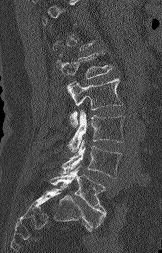
CT, spine — sagittal view — W/L 1800/400 HU
A vertebra gets a box only on the slices from the first to the last where its cross-section is at least a third of its largest; on a slice outside that range it gets none.
<vertebrae><v name="L5" x1="49" y1="165" x2="105" y2="227"/><v name="L4" x1="60" y1="140" x2="121" y2="178"/><v name="L3" x1="68" y1="110" x2="124" y2="152"/><v name="L2" x1="66" y1="78" x2="122" y2="127"/><v name="L1" x1="57" y1="53" x2="112" y2="79"/></vertebrae>